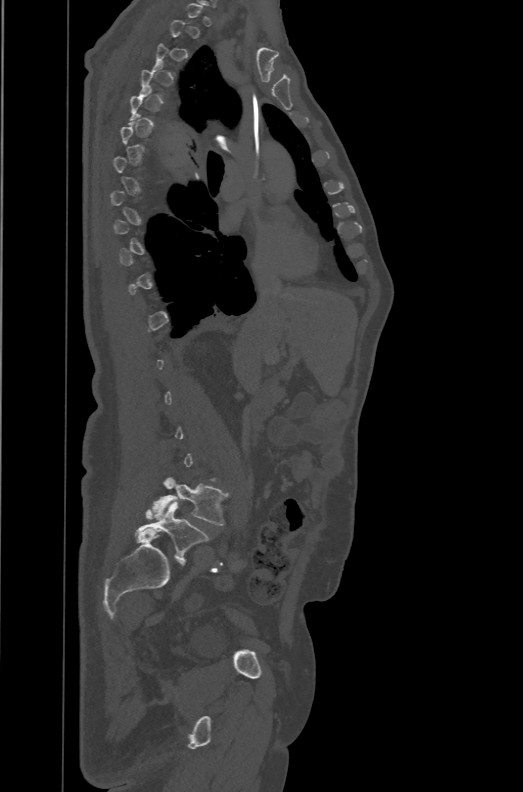
Computed tomography of the spine · sagittal view · W/L 1800/400 HU. Each row gives a vertebra's box as x1, y1, x2, y2 in pixels: top-left corner, then bottom-right corner.
A vertebra is boxed only from the first to the last slice where its cross-section is at least a third of its largest; slices outside that range leave it without a box.
The labels name a sixth lumbar vertebra for this spine: L6, after L5.
| vertebra | x1 | y1 | x2 | y2 |
|---|---|---|---|---|
| L5 | 152 | 478 | 228 | 525 |
| L6 | 135 | 502 | 209 | 562 |